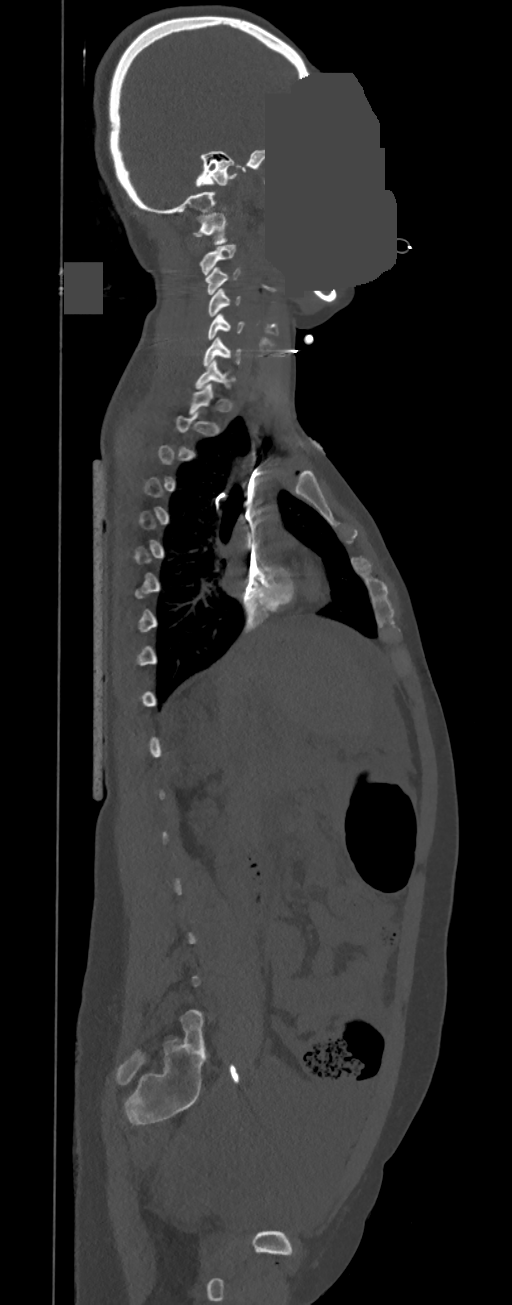

Computed tomography of the spine. sagittal view. Bone window (WL 400, WW 1800). 512x1305 px. part of the image is a flat gray fill, not anatomy
Boxes are (x1, y1, x2, y2) in pixels.
Each vertebra is boxed only on the slices from the first to the last where its cross-section reaches a third of its largest, so a slice outside that range leaves it unboxed.
C7: (196, 359, 235, 389)
C6: (203, 336, 241, 366)
C5: (207, 313, 245, 339)
C4: (207, 288, 240, 316)
C3: (205, 267, 240, 294)
C2: (200, 244, 236, 275)
C1: (193, 213, 226, 244)